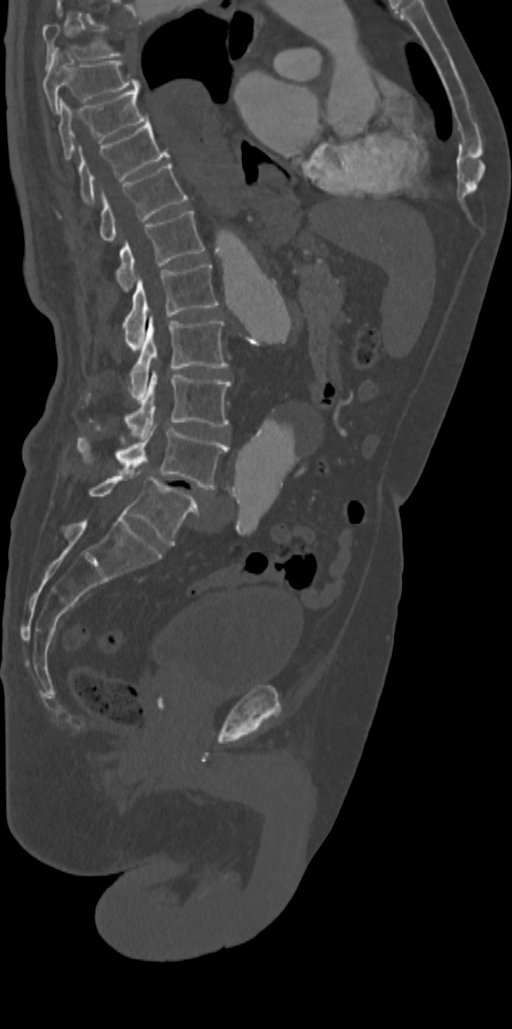 Spine computed tomography. sagittal view. 512x1029 px
Each box is [x1, y1, x2, y2] in pixels: top-left corner, then bottom-right corner.
This scan's labels start at T7 at the top and end at L5 at the bottom.
{"vertebrae":{"L5":[88,472,198,545],"L4":[76,425,228,489],"L3":[90,371,231,435],"L2":[128,317,229,399],"L1":[121,263,219,345],"T12":[115,211,205,291],"T11":[99,162,187,242],"T10":[56,121,170,217],"T9":[58,90,149,161],"T8":[43,54,140,111],"T7":[42,22,122,66]}}